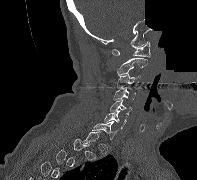
Spine computed tomography · sagittal view · W/L 1800/400 HU · a portion of the image is blanked out (constant pixel value)
Boxes are (x1, y1, x2, y2) in pixels. A vertebra is boxed only from the first to the last slice where its cross-section is at least a third of its largest; slices outside that range leave it without a box. The labeled vertebrae in this slice are: C1 at (112, 41, 150, 57), C2 at (117, 58, 147, 76), C3 at (117, 73, 140, 88), C4 at (113, 87, 135, 100), C5 at (110, 99, 132, 115), C6 at (104, 110, 127, 129), C7 at (92, 121, 118, 139).